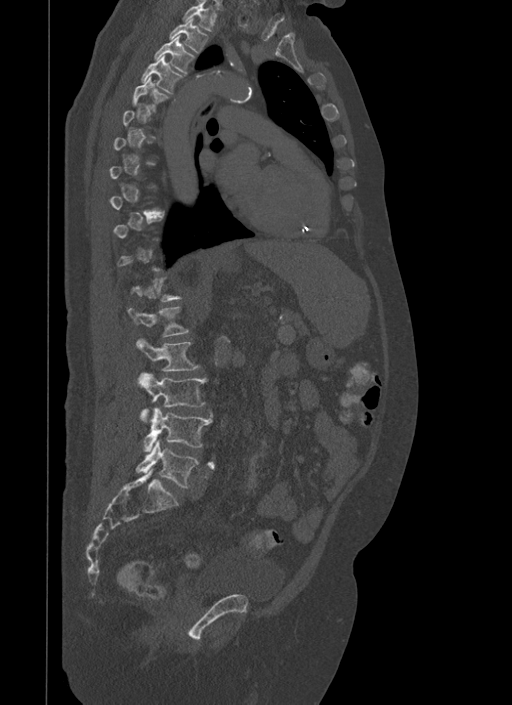

Spine computed tomography — sagittal view — the image spans 500 mm across — 512x705 px
Box values are [left, top, right, bottom] in pixels.
A vertebra gets a box only on the slices from the first to the last where its cross-section is at least a third of its largest; on a slice outside that range it gets none.
{"vertebrae":{"T1":[182,1,216,31],"T2":[169,17,207,52],"T3":[155,35,194,75],"T4":[142,54,182,93],"T5":[132,76,168,111],"L1":[127,307,189,336],"L2":[137,339,199,371],"L3":[137,373,207,421],"L4":[144,408,212,452],"L5":[137,440,199,487]}}